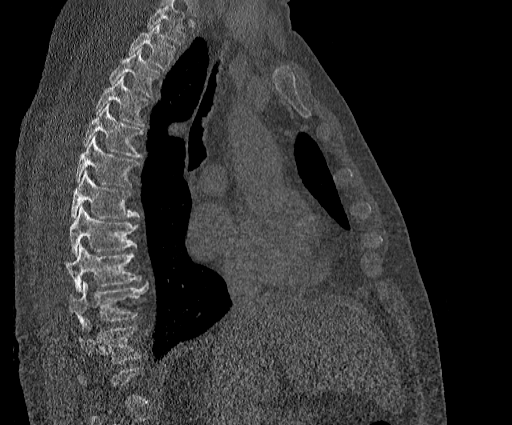 Spine computed tomography — image width 384 mm — sagittal reformat
Columns x1, y1, x2, y2 give each box's top-left and bottom-right pixels.
Vertebrae that run past the top of the scan are left unlabeled.
In this scan, the topmost labeled vertebra is T2 and the lowest is T11.
| vertebra | x1 | y1 | x2 | y2 |
|---|---|---|---|---|
| T2 | 128 | 24 | 175 | 70 |
| T3 | 109 | 48 | 160 | 96 |
| T4 | 94 | 76 | 148 | 126 |
| T5 | 82 | 103 | 143 | 158 |
| T6 | 74 | 136 | 140 | 187 |
| T7 | 70 | 171 | 139 | 218 |
| T8 | 69 | 207 | 138 | 255 |
| T9 | 66 | 244 | 141 | 291 |
| T10 | 69 | 281 | 147 | 328 |
| T11 | 76 | 319 | 143 | 363 |